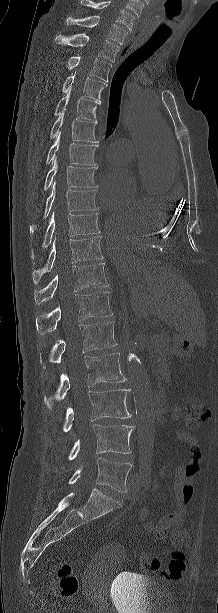

CT · 218 mm image width · sagittal view · bone-window reconstruction
Boxes below are [x1, y1, x2, y2] in pixels.
The highest labeled vertebra in this scan is C7; the lowest is L5.
{"vertebrae":{"C7":[65,16,127,44],"T1":[55,33,118,62],"T2":[67,56,111,81],"T3":[62,72,107,100],"T4":[54,90,100,121],"T5":[49,110,99,142],"T6":[46,132,98,165],"T7":[44,157,97,190],"T8":[30,182,97,234],"T9":[31,212,99,259],"T10":[32,237,102,283],"T11":[34,263,107,304],"T12":[36,292,112,334],"L1":[40,321,116,368],"L2":[44,353,126,408],"L3":[63,389,131,432],"L4":[68,424,135,460],"L5":[68,457,132,492]}}